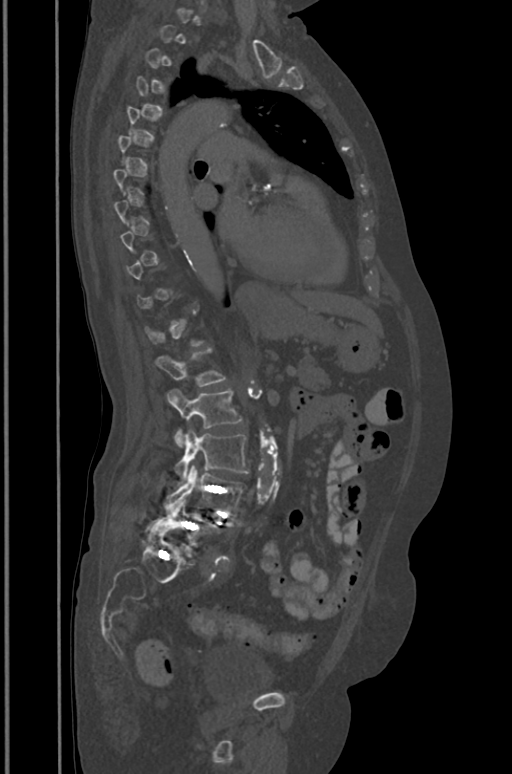
Spine CT · the image spans 391 mm across · sagittal view · 512x774 px
Coordinates as <box>x1,y1,x2,y2</box>.
A vertebra is boxed only from the first to the last slice where its cross-section is at least a third of its largest; slices outside that range leave it without a box.
L1: <box>154,349,226,386</box>
L2: <box>166,390,241,446</box>
L3: <box>174,429,248,483</box>
L4: <box>165,464,247,514</box>
L5: <box>149,500,220,550</box>